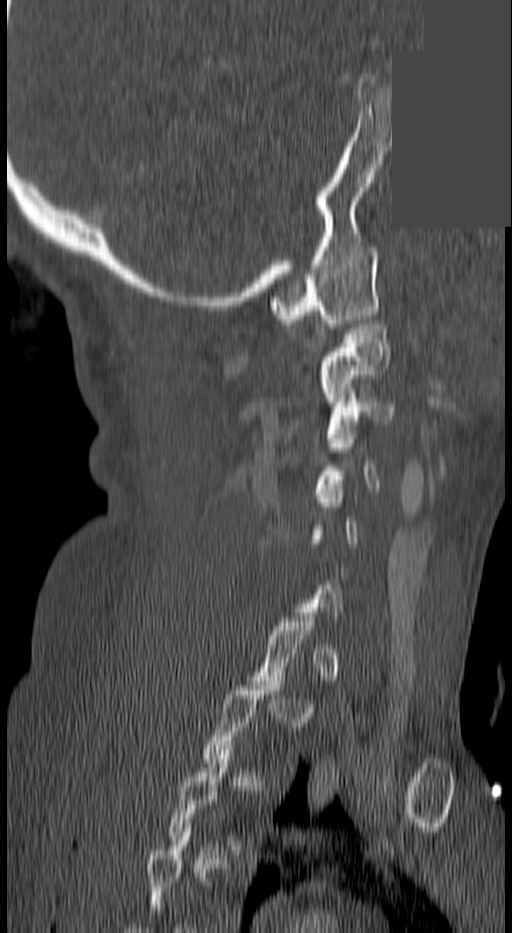

CT spine. sagittal view. bone-window reconstruction. an area of the scan was removed and filled with constant pixels. Coordinates as <box>x1,y1,x2,y2</box>.
A vertebra is boxed only from the first to the last slice where its cross-section is at least a third of its largest; slices outside that range leave it without a box.
Vertebra bounding boxes:
- C1: <box>269,247,377,328</box>
- C2: <box>317,320,388,401</box>
- C3: <box>326,393,392,438</box>